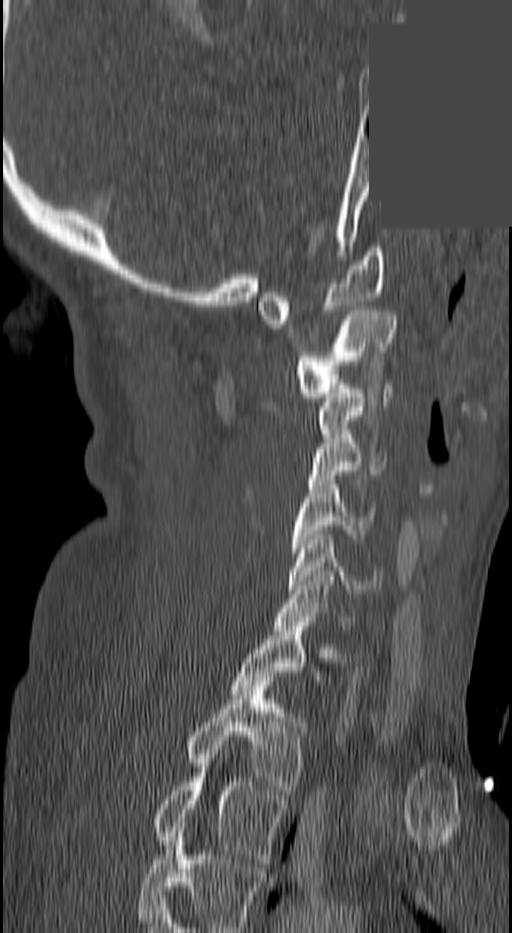
CT spine. sagittal view. a portion of the image is blanked out (constant pixel value). Boxes are given in columns x1, y1, x2, y2, the pixel coordinates of their top-left and bottom-right corners.
A vertebra is boxed only from the first to the last slice where its cross-section is at least a third of its largest; slices outside that range leave it without a box.
The highest labeled vertebra in this scan is C1; the lowest is T3.
| vertebra | x1 | y1 | x2 | y2 |
|---|---|---|---|---|
| C1 | 258 | 247 | 384 | 324 |
| C2 | 295 | 311 | 395 | 401 |
| C3 | 320 | 389 | 393 | 438 |
| C4 | 309 | 434 | 385 | 484 |
| C5 | 290 | 480 | 370 | 552 |
| C6 | 290 | 535 | 380 | 593 |
| C7 | 276 | 576 | 351 | 630 |
| T2 | 188 | 681 | 308 | 794 |
| T3 | 155 | 768 | 286 | 863 |